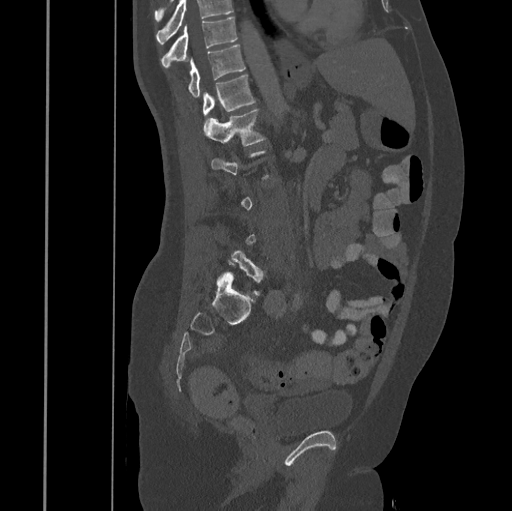

Computed tomography of the spine — sagittal view. Boxes are (x1, y1, x2, y2) in pixels. A vertebra is boxed only from the first to the last slice where its cross-section is at least a third of its largest; slices outside that range leave it without a box. Where the top of the scan cuts through a vertebra, that vertebra gets no label or box. The labeled vertebrae in this slice are: T10 at (161, 17, 237, 67), T11 at (187, 45, 245, 96), T12 at (203, 75, 255, 131), L1 at (205, 108, 266, 145), L5 at (228, 250, 265, 295).